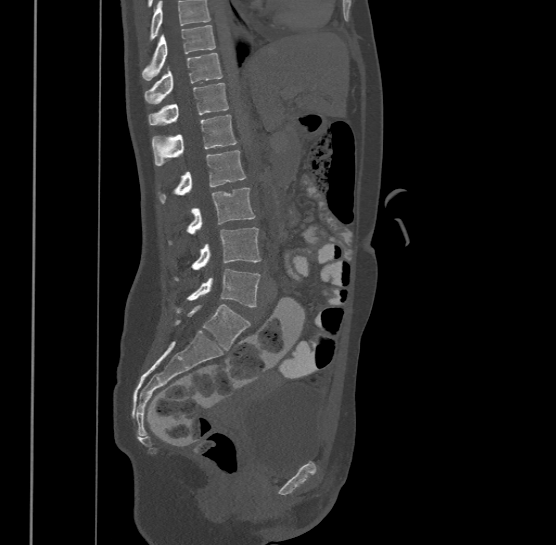

Spine CT — sagittal view — bone-window reconstruction
Vertebrae that run past the top of the scan are left unlabeled.
The highest labeled vertebra in this scan is T9; the lowest is L4.
<vertebrae><v name="T9" x1="142" y1="24" x2="216" y2="80"/><v name="T10" x1="144" y1="52" x2="223" y2="103"/><v name="T11" x1="148" y1="82" x2="228" y2="124"/><v name="T12" x1="151" y1="114" x2="237" y2="164"/><v name="L1" x1="158" y1="150" x2="245" y2="202"/><v name="L2" x1="187" y1="187" x2="255" y2="233"/><v name="L3" x1="175" y1="227" x2="261" y2="280"/><v name="L4" x1="170" y1="268" x2="261" y2="313"/></vertebrae>